Spine CT; 257 mm image width; sagittal view; 257x214 px; part of the image has been replaced by a constant value
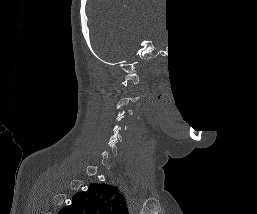

Boxes: x1:y1:x2:y2 in pixels.
A vertebra gets a box only on the slices from the first to the last where its cross-section is at least a third of its largest; on a slice outside that range it gets none.
Vertebra bounding boxes:
- C1: 121:72:139:85
- C3: 116:101:133:118
- C5: 108:127:121:143